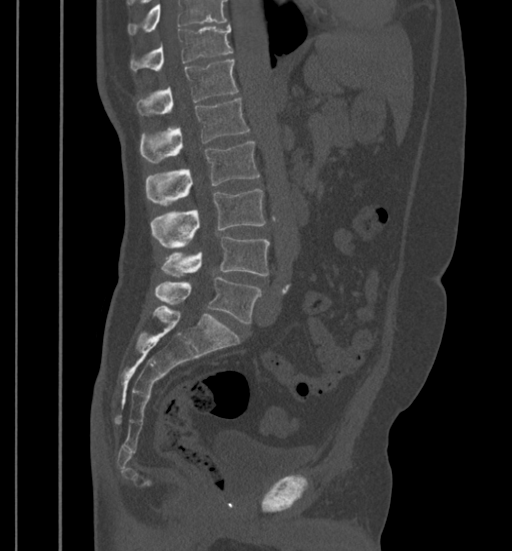
Computed tomography of the spine; sagittal view; Bone window (WL 400, WW 1800); 512x551 px
A vertebra cut off by the top edge of the scan is not labeled and has no box.
<vertebrae><v name="L5" x1="155" y1="277" x2="261" y2="323"/><v name="L4" x1="162" y1="236" x2="270" y2="277"/><v name="L3" x1="150" y1="188" x2="266" y2="247"/><v name="L2" x1="145" y1="141" x2="259" y2="205"/><v name="L1" x1="140" y1="99" x2="249" y2="163"/><v name="T12" x1="136" y1="59" x2="238" y2="115"/><v name="T11" x1="129" y1="24" x2="232" y2="71"/></vertebrae>